CT, spine — sagittal view — bone-window reconstruction
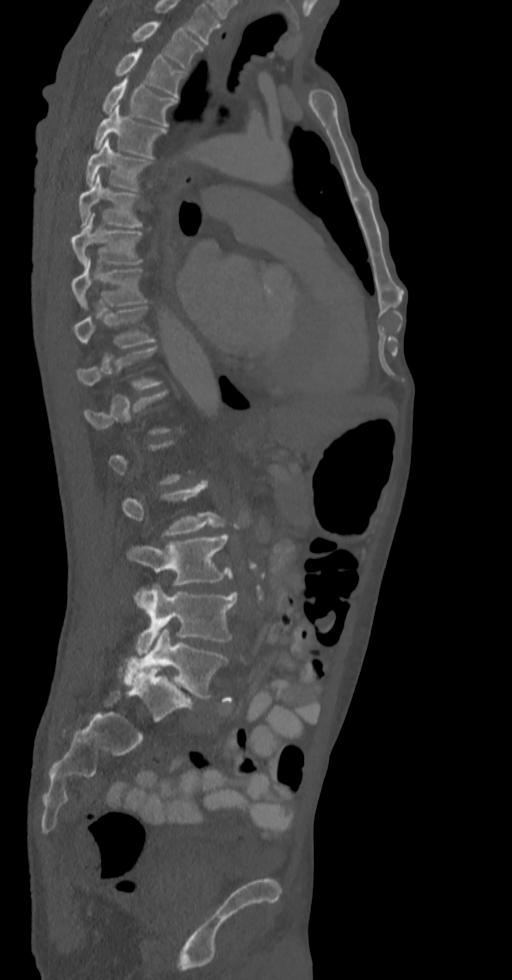 Not every vertebra on this slice has a box: a vertebra is boxed only from the first to the last slice where its cross-section is at least a third of its largest, and this slice is outside that range for at least one of them.
This scan's labels start at T2 at the top and end at L5 at the bottom.
<vertebrae><v name="T2" x1="132" y1="21" x2="203" y2="69"/><v name="T3" x1="116" y1="49" x2="183" y2="98"/><v name="T4" x1="102" y1="78" x2="177" y2="125"/><v name="T5" x1="94" y1="105" x2="165" y2="157"/><v name="T6" x1="85" y1="139" x2="150" y2="189"/><v name="T7" x1="79" y1="174" x2="140" y2="228"/><v name="T8" x1="71" y1="213" x2="142" y2="266"/><v name="T9" x1="71" y1="259" x2="145" y2="307"/><v name="T10" x1="73" y1="306" x2="154" y2="348"/><v name="L2" x1="123" y1="480" x2="226" y2="535"/><v name="L3" x1="128" y1="533" x2="232" y2="586"/><v name="L4" x1="134" y1="584" x2="236" y2="654"/><v name="L5" x1="124" y1="628" x2="227" y2="698"/></vertebrae>